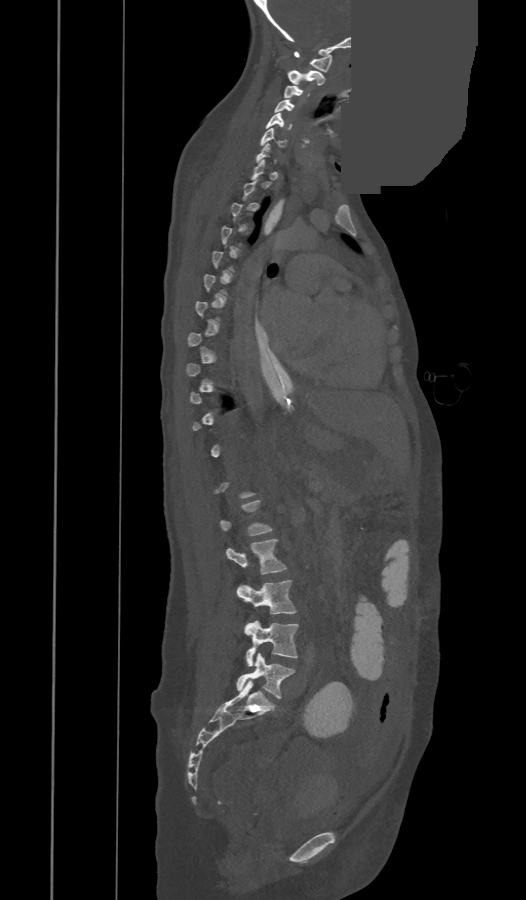

Spine CT — sagittal view — bone window — 526x900 px — the image spans 473 mm across — an area of the scan was removed and filled with constant pixels
Each box is [x1, y1, x2, y2] in pixels: top-left corner, then bottom-right corner.
A vertebra is boxed only from the first to the last slice where its cross-section is at least a third of its largest; slices outside that range leave it without a box.
{"vertebrae":{"C1":[294,51,332,72],"C2":[287,70,324,85],"C3":[284,86,309,99],"C4":[274,99,294,111],"C5":[266,113,292,129],"C6":[260,128,286,147],"C7":[256,143,277,162],"L1":[220,500,271,536],"L2":[227,539,285,574],"L3":[237,580,296,614],"L4":[244,620,298,666],"L5":[237,653,295,698]}}